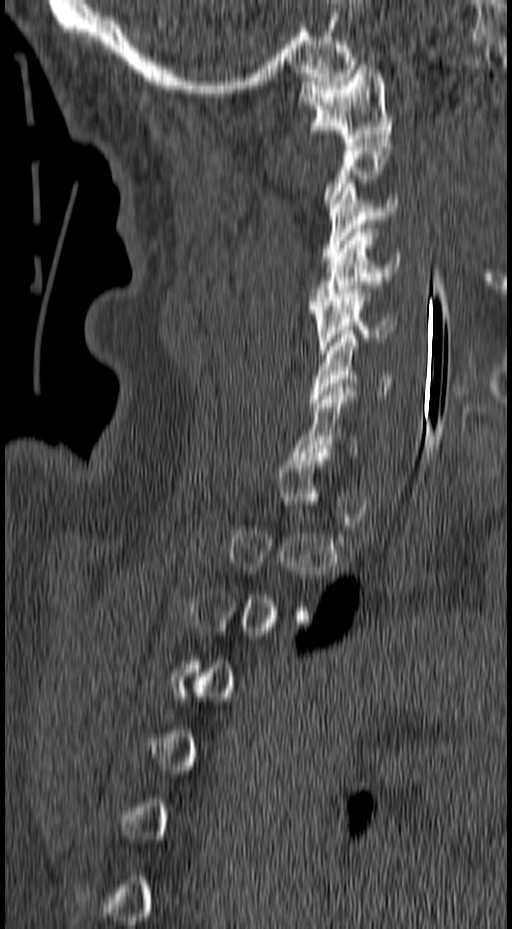 Spine computed tomography. sagittal view

Coordinates as <box>x1,y1,x2,y2</box>.
Not every vertebra on this slice has a box: a vertebra is boxed only from the first to the last slice where its cross-section is at least a third of its largest, and this slice is outside that range for at least one of them.
Vertebra bounding boxes:
- C1: <box>297,61,393,142</box>
- C3: <box>320,183,398,264</box>
- C4: <box>310,228,400,305</box>
- C5: <box>310,285,397,354</box>
- C6: <box>309,334,391,403</box>
- C7: <box>291,387,356,456</box>